CT spine · sagittal reformat · W/L 1800/400 HU · 186x471 px
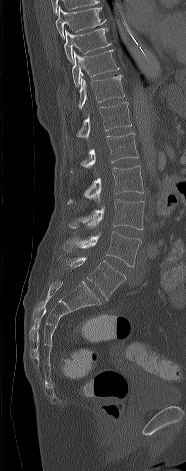 <vertebrae><v name="T8" x1="56" y1="6" x2="106" y2="39"/><v name="T9" x1="64" y1="28" x2="112" y2="62"/><v name="T10" x1="72" y1="48" x2="119" y2="86"/><v name="T11" x1="78" y1="74" x2="124" y2="108"/><v name="T12" x1="76" y1="102" x2="131" y2="139"/><v name="L1" x1="69" y1="133" x2="138" y2="173"/><v name="L2" x1="68" y1="166" x2="143" y2="203"/><v name="L3" x1="69" y1="199" x2="144" y2="229"/><v name="L4" x1="62" y1="231" x2="141" y2="266"/><v name="L5" x1="58" y1="255" x2="125" y2="300"/></vertebrae>